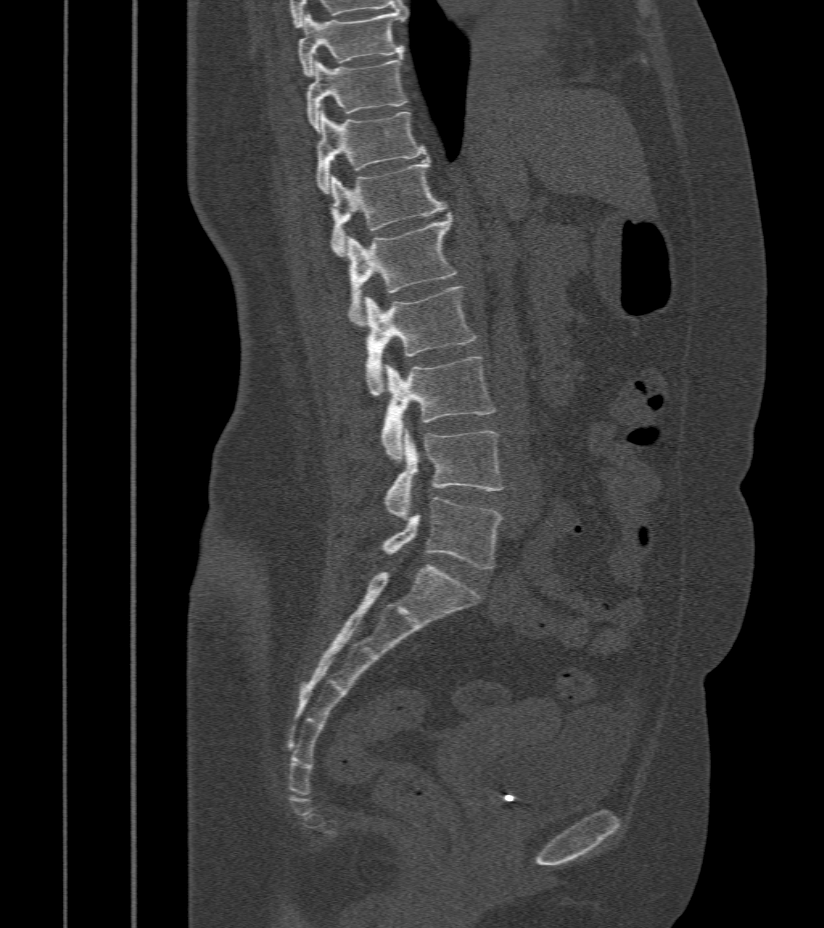

Computed tomography of the spine; sagittal view; 412 mm wide; 824x928 px
Each vertebra maps to its box as [x1, y1, x2, y2], the pixel coordinates of its top-left and bottom-right corners.
{"vertebrae":{"L5":[381,497,501,568],"L4":[383,429,504,518],"L3":[381,357,495,460],"L2":[365,287,477,396],"L1":[346,213,456,328],"T12":[330,159,446,256],"T11":[315,109,427,192],"T10":[306,57,406,130],"T9":[298,11,406,76]}}